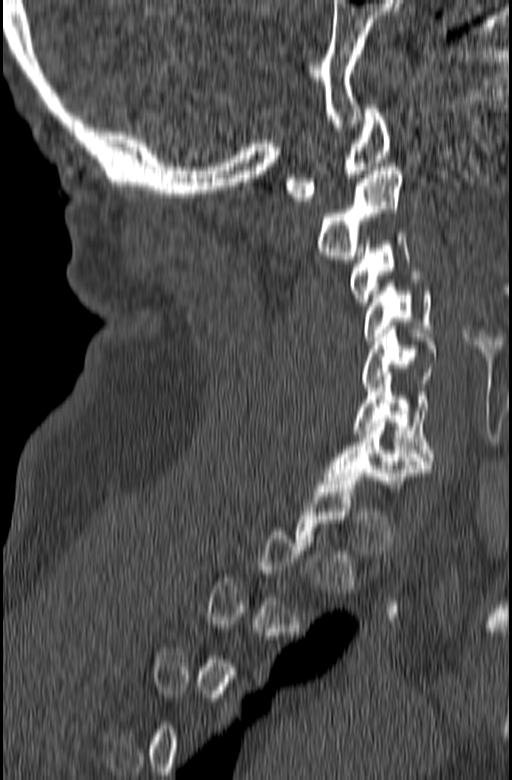 CT, spine; sagittal view; Bone window (WL 400, WW 1800); 165 mm image width
Each box given as x1,y1,x2,y2.
Each vertebra is boxed only on the slices from the first to the last where its cross-section reaches a third of its largest, so a slice outside that range leaves it unboxed.
C1: x1=285, y1=105, x2=391, y2=201
C2: x1=318, y1=167, x2=403, y2=259
C3: x1=349, y1=233, x2=409, y2=305
C4: x1=364, y1=279, x2=431, y2=340
C5: x1=361, y1=326, x2=437, y2=391
C6: x1=352, y1=376, x2=434, y2=464
C7: x1=324, y1=419, x2=430, y2=488